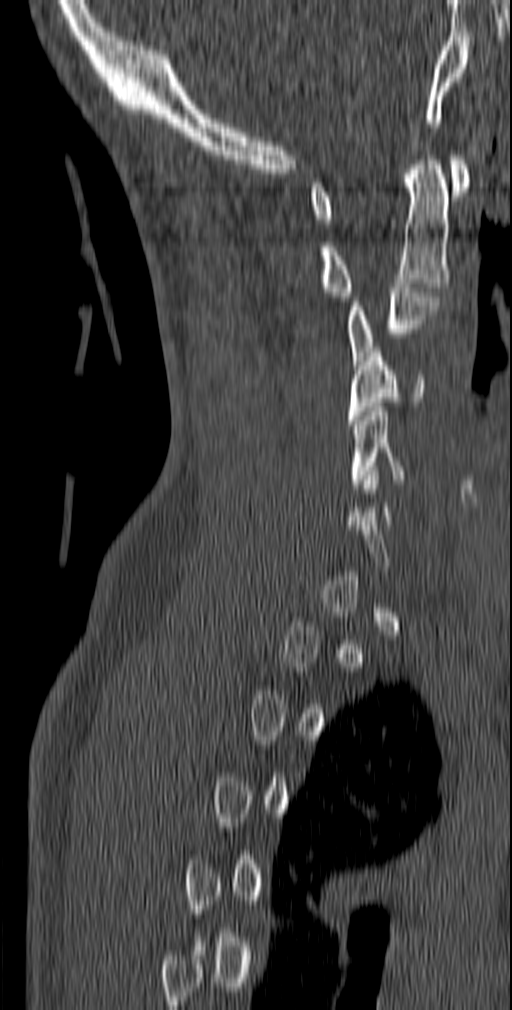

Computed tomography of the spine. sagittal reformat. Bone window (WL 400, WW 1800)

Bounding boxes as [x1, y1, x2, y2] in pixel coordinates.
A vertebra is boxed only from the first to the last slice where its cross-section is at least a third of its largest; slices outside that range leave it without a box.
Vertebra bounding boxes:
- C1: [309, 155, 470, 223]
- C2: [321, 151, 450, 301]
- C3: [349, 283, 439, 369]
- C4: [347, 347, 425, 424]
- C5: [350, 407, 406, 488]